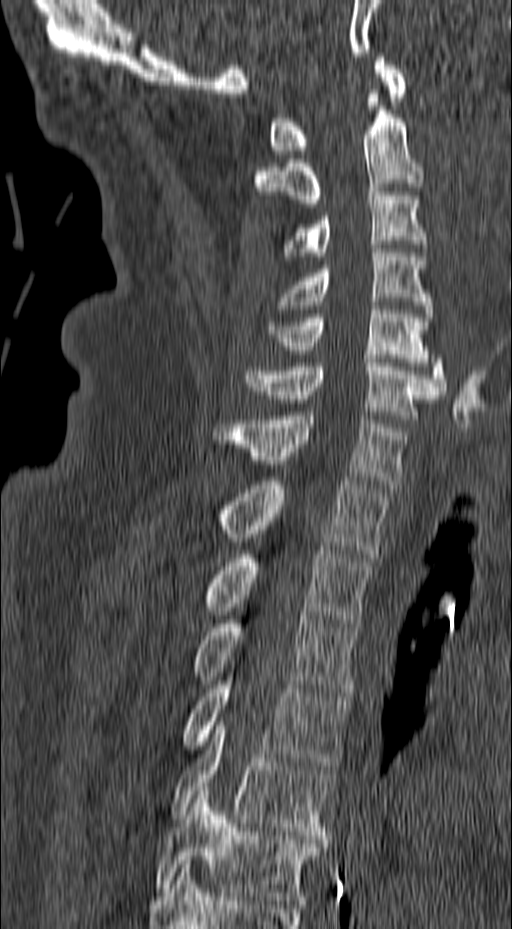 Spine CT. sagittal view. Bone window (WL 400, WW 1800)

<vertebrae><v name="T6" x1="154" y1="787" x2="320" y2="904"/><v name="T5" x1="170" y1="717" x2="333" y2="839"/><v name="T4" x1="181" y1="669" x2="349" y2="769"/><v name="T3" x1="193" y1="616" x2="359" y2="696"/><v name="T2" x1="207" y1="546" x2="372" y2="627"/><v name="T1" x1="220" y1="477" x2="388" y2="557"/><v name="C7" x1="213" y1="412" x2="408" y2="488"/><v name="C6" x1="244" y1="359" x2="438" y2="419"/><v name="C5" x1="269" y1="306" x2="447" y2="394"/><v name="C4" x1="275" y1="245" x2="433" y2="317"/><v name="C3" x1="283" y1="188" x2="431" y2="260"/><v name="C2" x1="254" y1="90" x2="424" y2="203"/><v name="C1" x1="269" y1="53" x2="407" y2="154"/></vertebrae>